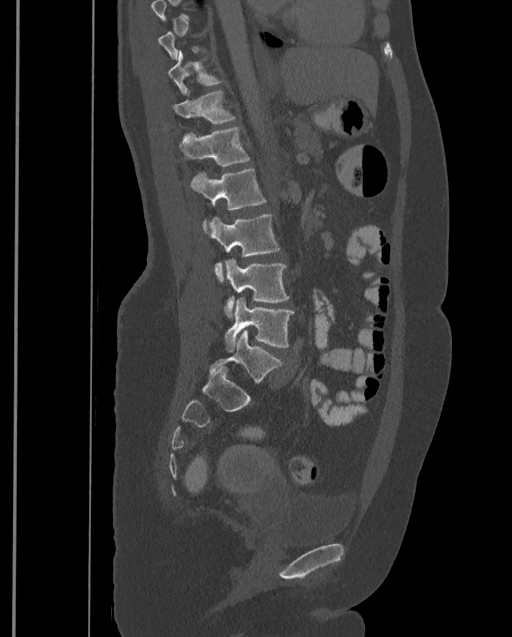
Computed tomography of the spine. sagittal view

Each box is [x1, y1, x2, y2] in pixels: top-left corner, then bottom-right corner.
Each vertebra is boxed only on the slices from the first to the last where its cross-section reaches a third of its largest, so a slice outside that range leaves it unboxed.
This scan's labels start at T9 at the top and end at L4 at the bottom.
{"vertebrae":{"T10":[168,51,222,94],"T11":[172,90,235,124],"T12":[178,127,250,165],"L1":[191,167,266,232],"L2":[208,214,280,282],"L3":[224,259,289,319],"L4":[224,298,294,350]}}